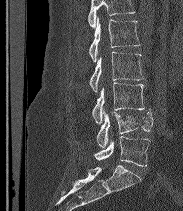 Spine CT — sagittal view
Boxes: x1:y1:x2:y2 in pixels. Vertebrae that run past the top of the scan are left unlabeled. The labels name a sixth lumbar vertebra for this spine: L6, after L5. Vertebrae labeled: L2 at 89:17:139:62, L3 at 89:52:144:92, L4 at 92:82:144:123, L5 at 96:109:153:147, L6 at 94:136:149:166.